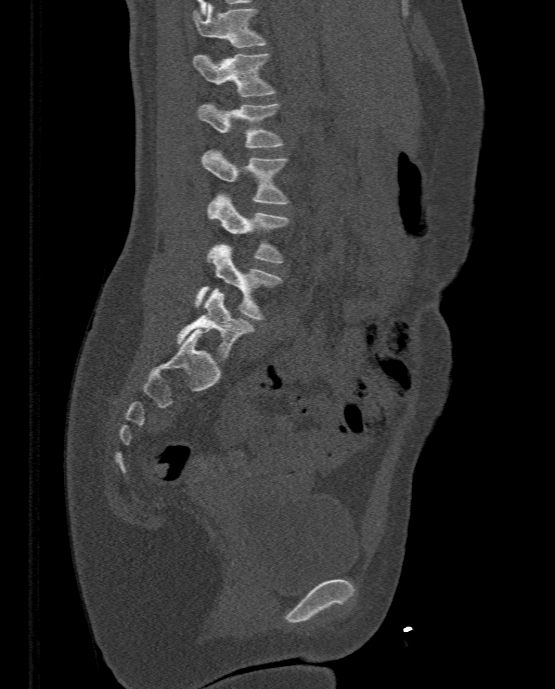
CT, spine. sagittal view. 333 mm across the image. 555x689 px
<vertebrae><v name="T11" x1="193" y1="3" x2="266" y2="47"/><v name="T12" x1="193" y1="53" x2="275" y2="96"/><v name="L1" x1="198" y1="102" x2="283" y2="147"/><v name="L2" x1="202" y1="148" x2="288" y2="204"/><v name="L3" x1="207" y1="193" x2="288" y2="262"/><v name="L4" x1="194" y1="244" x2="282" y2="319"/><v name="L5" x1="177" y1="288" x2="254" y2="358"/></vertebrae>